CT, spine. sagittal plane, index 154. 350x440 px. 350 mm across the image
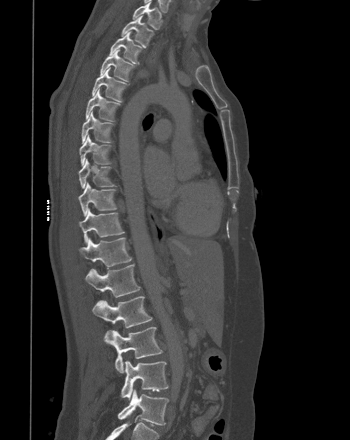

Box edges are left/top/right/bottom in pixels.
| vertebra | x1 | y1 | x2 | y2 |
|---|---|---|---|---|
| T1 | 132 | 1 | 161 | 29 |
| T2 | 121 | 15 | 153 | 46 |
| T3 | 109 | 31 | 142 | 63 |
| T4 | 100 | 49 | 133 | 81 |
| T5 | 92 | 68 | 126 | 101 |
| T6 | 85 | 89 | 119 | 121 |
| T7 | 81 | 110 | 112 | 143 |
| T8 | 79 | 134 | 110 | 165 |
| T9 | 78 | 159 | 114 | 188 |
| T10 | 78 | 182 | 116 | 216 |
| T11 | 79 | 208 | 124 | 243 |
| T12 | 79 | 237 | 131 | 268 |
| L1 | 85 | 264 | 140 | 297 |
| L2 | 92 | 296 | 152 | 335 |
| L3 | 104 | 327 | 162 | 373 |
| L4 | 121 | 361 | 168 | 399 |
| L5 | 118 | 389 | 168 | 425 |